Computed tomography of the spine. sagittal plane, index 47
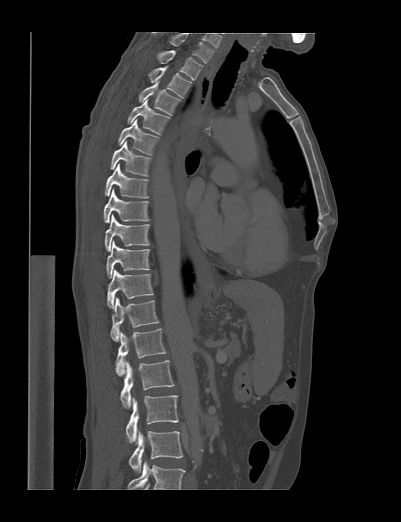
Boxes are given in columns x1, y1, x2, y2, the pixel coordinates of their top-left and bottom-right corners.
This scan's labels start at T1 at the top and end at L4 at the bottom.
| vertebra | x1 | y1 | x2 | y2 |
|---|---|---|---|---|
| L4 | 128 | 431 | 183 | 472 |
| L3 | 126 | 395 | 178 | 442 |
| L2 | 120 | 360 | 174 | 408 |
| L1 | 115 | 328 | 166 | 375 |
| T12 | 110 | 297 | 159 | 341 |
| T11 | 107 | 269 | 152 | 309 |
| T10 | 106 | 241 | 150 | 277 |
| T9 | 105 | 214 | 149 | 251 |
| T8 | 103 | 188 | 149 | 223 |
| T7 | 104 | 162 | 149 | 198 |
| T6 | 110 | 141 | 151 | 175 |
| T5 | 118 | 119 | 158 | 155 |
| T4 | 127 | 98 | 171 | 135 |
| T3 | 138 | 81 | 181 | 116 |
| T2 | 147 | 66 | 191 | 98 |
| T1 | 157 | 50 | 202 | 80 |